Spine CT. sagittal view. Bone window (WL 400, WW 1800). 380x640 px
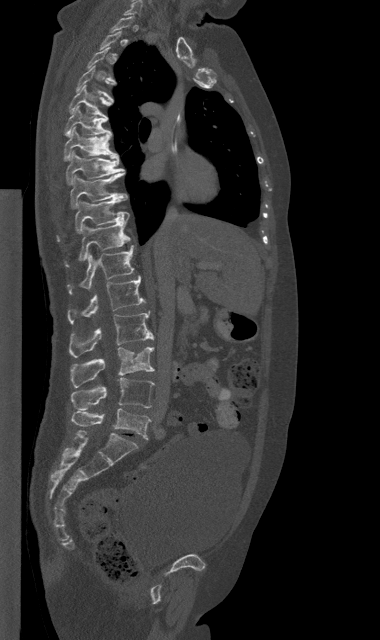

Not every vertebra on this slice has a box: a vertebra is boxed only from the first to the last slice where its cross-section is at least a third of its largest, and this slice is outside that range for at least one of them.
<vertebrae><v name="C7" x1="124" y1="1" x2="141" y2="15"/><v name="T4" x1="76" y1="66" x2="113" y2="101"/><v name="T5" x1="69" y1="85" x2="111" y2="118"/><v name="T6" x1="65" y1="106" x2="111" y2="136"/><v name="T7" x1="64" y1="127" x2="118" y2="160"/><v name="T8" x1="66" y1="151" x2="124" y2="184"/><v name="T9" x1="70" y1="172" x2="128" y2="208"/><v name="T10" x1="75" y1="198" x2="129" y2="233"/><v name="T11" x1="79" y1="220" x2="129" y2="261"/><v name="T12" x1="67" y1="245" x2="133" y2="293"/><v name="L1" x1="68" y1="276" x2="144" y2="323"/><v name="L2" x1="69" y1="313" x2="153" y2="357"/><v name="L3" x1="70" y1="347" x2="154" y2="387"/><v name="L4" x1="71" y1="377" x2="154" y2="409"/><v name="L5" x1="71" y1="408" x2="150" y2="439"/></vertebrae>